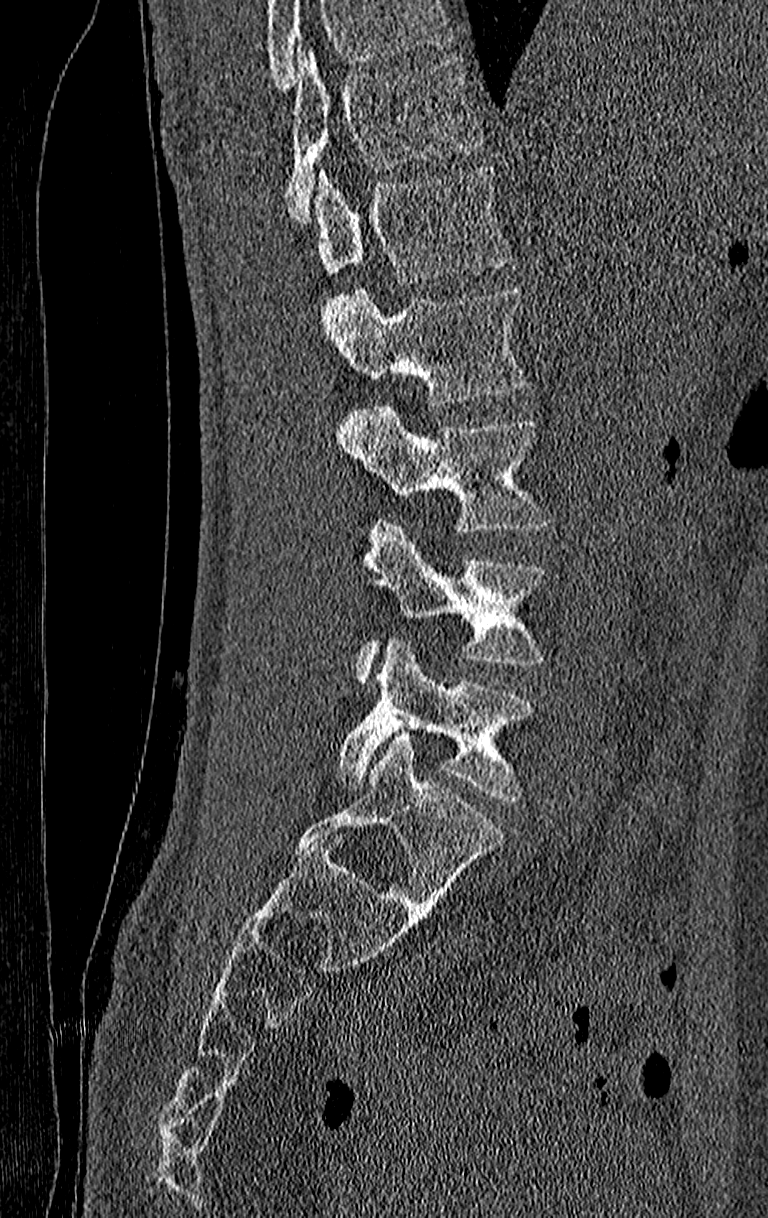

Spine CT; sagittal view
Each row gives a vertebra's box as x1, y1, x2, y2 in pixels: top-left corner, then bottom-right corner.
No box is given to a vertebra that the top edge of the scan cuts off.
In this scan, the topmost labeled vertebra is T11 and the lowest is L4.
| vertebra | x1 | y1 | x2 | y2 |
|---|---|---|---|---|
| T11 | 288 | 53 | 480 | 223 |
| T12 | 313 | 166 | 510 | 285 |
| L1 | 321 | 286 | 524 | 405 |
| L2 | 342 | 403 | 546 | 534 |
| L3 | 357 | 520 | 543 | 684 |
| L4 | 339 | 640 | 532 | 800 |